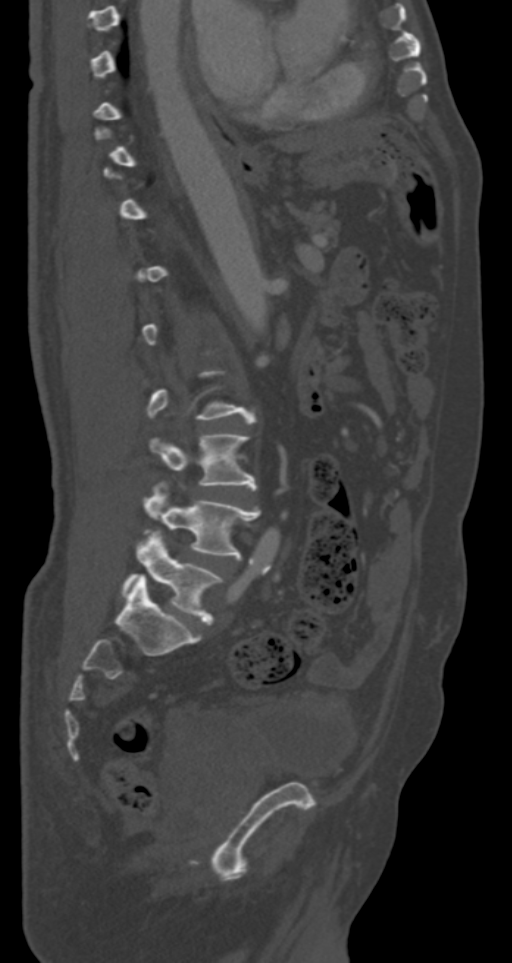
Spine computed tomography · sagittal view
A vertebra gets a box only on the slices from the first to the last where its cross-section is at least a third of its largest; on a slice outside that range it gets none.
<vertebrae><v name="L3" x1="149" y1="433" x2="255" y2="490"/><v name="L4" x1="144" y1="491" x2="259" y2="558"/><v name="L5" x1="123" y1="531" x2="222" y2="623"/></vertebrae>